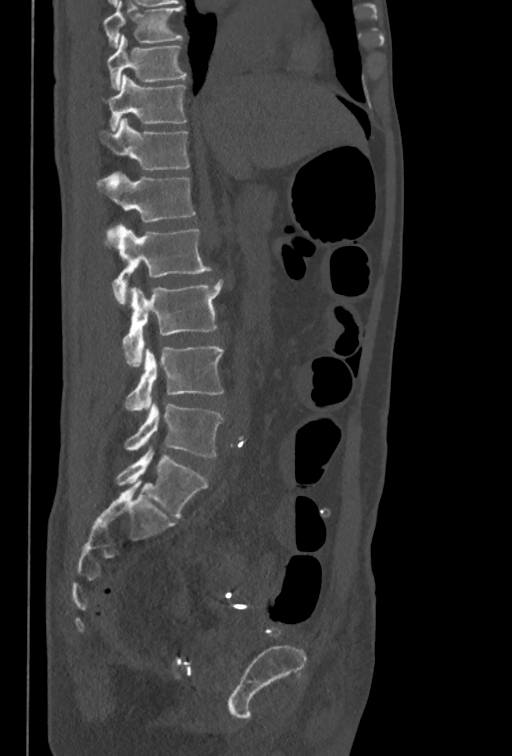 CT, spine · sagittal view · W/L 1800/400 HU
Columns x1, y1, x2, y2 give each box's top-left and bottom-right pixels.
In this scan, the topmost labeled vertebra is T10 and the lowest is L5.
| vertebra | x1 | y1 | x2 | y2 |
|---|---|---|---|---|
| T10 | 107 | 34 | 186 | 90 |
| T11 | 108 | 74 | 186 | 131 |
| T12 | 99 | 118 | 189 | 170 |
| L1 | 96 | 171 | 195 | 223 |
| L2 | 112 | 224 | 211 | 304 |
| L3 | 123 | 279 | 223 | 366 |
| L4 | 124 | 346 | 224 | 411 |
| L5 | 124 | 403 | 223 | 457 |